Computed tomography of the spine. Sagittal slice 288/512. bone window. scan covers 11 annotated vertebrae
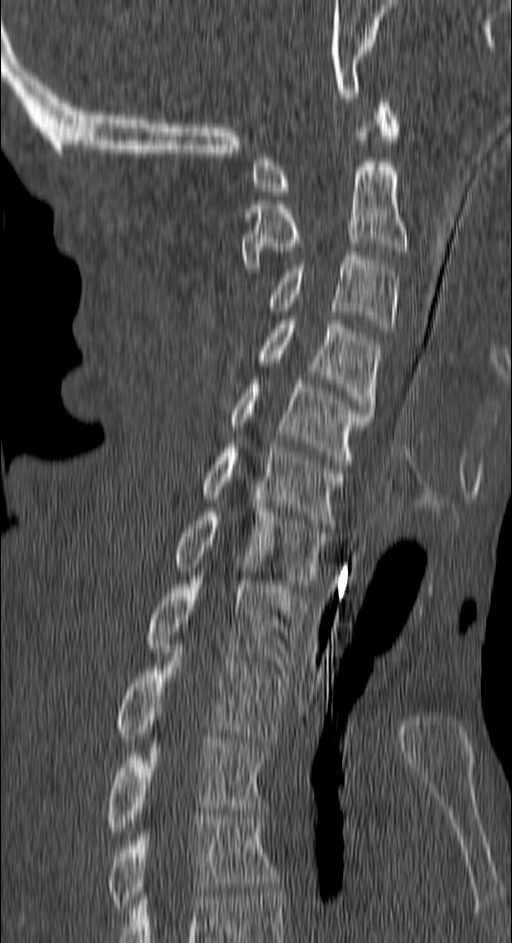

Boxes: x1:y1:x2:y2 in pixels.
T4: 107:815:277:912
T3: 107:738:266:831
T2: 117:644:288:746
T1: 148:576:305:669
C7: 175:508:328:588
C6: 203:444:345:524
C5: 230:380:371:464
C4: 261:320:379:413
C3: 271:252:396:332
C2: 240:128:406:272
C1: 254:98:400:195